Spine computed tomography; sagittal view; bone-window reconstruction; 536x664 px
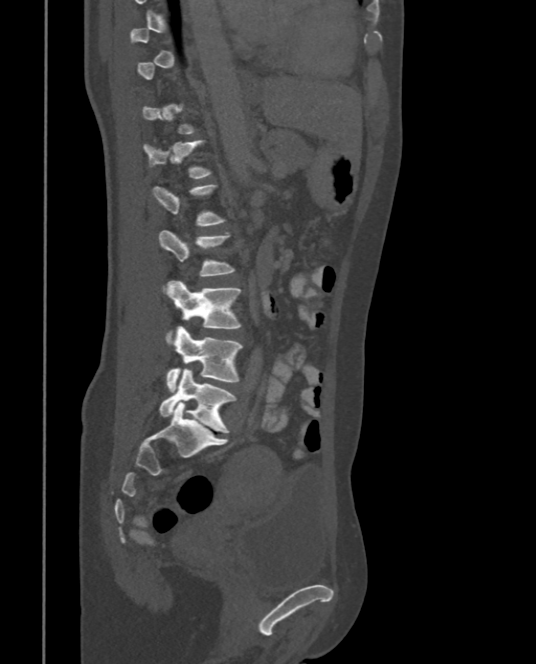

Boxes: x1 y1 x2 y2 (pixel coords, space-separated).
A vertebra is boxed only from the first to the last slice where its cross-section is at least a third of its largest; slices outside that range leave it without a box.
T12: 142 140 211 179
L1: 154 184 226 226
L2: 158 230 234 293
L3: 167 280 242 346
L4: 166 326 243 392
L5: 158 368 235 433